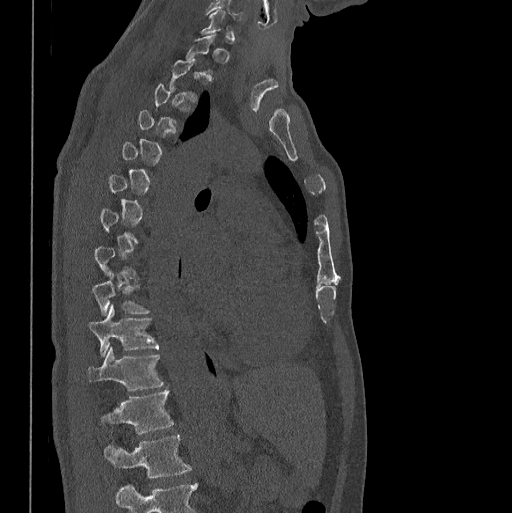

CT, spine. sagittal view. bone window. 512x513 px

Box edges are left/top/right/bottom in pixels.
Each vertebra is boxed only on the slices from the first to the last where its cross-section reaches a third of its largest, so a slice outside that range leaves it unboxed.
Labels in this scan begin with C7 at the top and end with L1 at the bottom.
T9: left=92, top=272, right=148, bottom=315
T10: left=89, top=304, right=158, bottom=357
T11: left=87, top=347, right=164, bottom=391
T12: left=101, top=389, right=173, bottom=433
L1: left=104, top=434, right=191, bottom=477